Spine computed tomography. sagittal view. Bone window (WL 400, WW 1800)
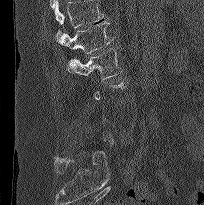

Boxes are (x1, y1, x2, y2) in pixels.
A vertebra gets a box only on the slices from the first to the last where its cross-section is at least a third of its largest; on a slice outside that range it gets none.
A vertebra cut off by the top edge of the scan is not labeled and has no box.
L1: (58, 21, 113, 53)
L2: (67, 46, 122, 82)